CT. sagittal plane, index 411
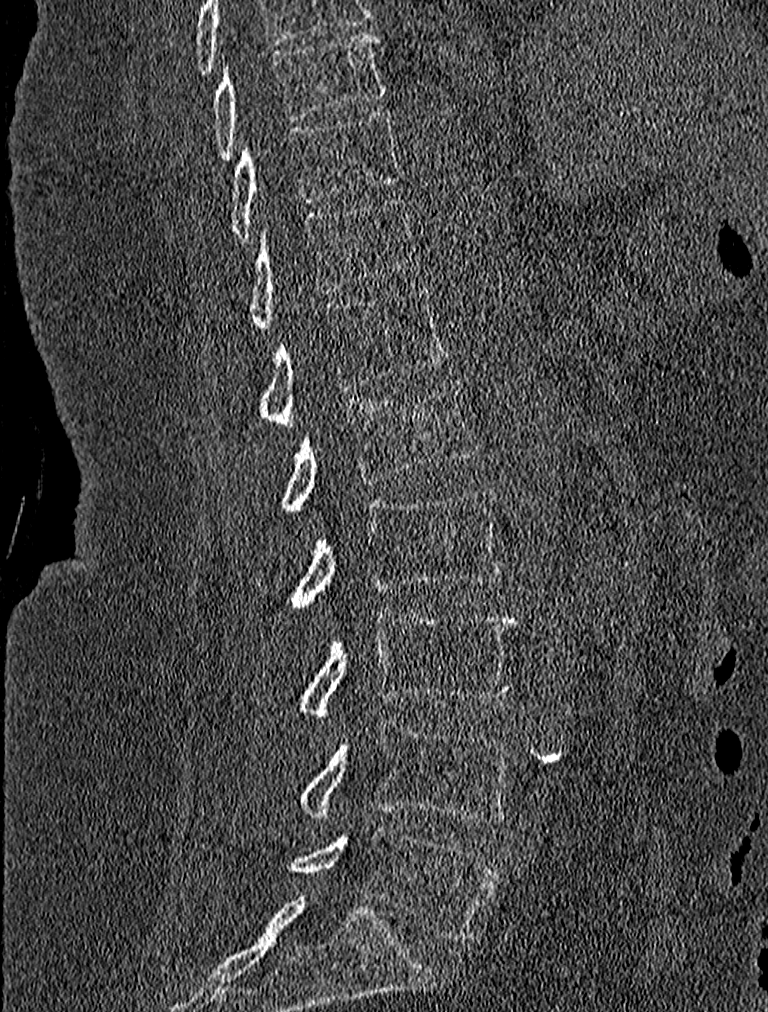

Boxes are given in columns x1, y1, x2, y2, the pixel coordinates of their top-left and bottom-right corners.
| vertebra | x1 | y1 | x2 | y2 |
|---|---|---|---|---|
| T9 | 212 | 30 | 387 | 159 |
| T10 | 229 | 108 | 400 | 240 |
| T11 | 246 | 196 | 421 | 328 |
| T12 | 259 | 288 | 448 | 428 |
| L1 | 283 | 379 | 478 | 512 |
| L2 | 293 | 487 | 502 | 606 |
| L3 | 297 | 611 | 515 | 718 |
| L4 | 297 | 719 | 514 | 823 |
| L5 | 290 | 824 | 499 | 941 |